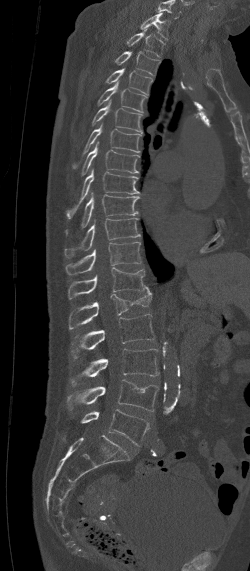 Spine CT · sagittal view · 250x571 px. Boxes: x1:y1:x2:y2 in pixels.
Labels in this scan begin with C7 at the top and end with L5 at the bottom.
Vertebra bounding boxes:
- C7: 140:12:170:39
- T1: 127:28:165:57
- T2: 115:50:160:74
- T3: 106:68:152:95
- T4: 97:80:147:112
- T5: 91:99:142:133
- T6: 72:125:142:170
- T7: 82:141:139:176
- T8: 65:169:139:218
- T9: 65:193:139:235
- T10: 64:218:141:258
- T11: 65:242:140:274
- T12: 67:267:146:299
- L1: 69:286:152:329
- L2: 71:314:155:357
- L3: 71:348:159:385
- L4: 67:379:159:412
- L5: 81:409:150:445